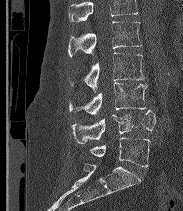

CT spine; sagittal view

Boxes: x1 y1 x2 y2 (pixel coords, space-separated). A vertebra cut off by the top edge of the scan is not labeled and has no box. In these labels the spine has an L6, a sixth lumbar vertebra below L5. Vertebrae labeled: L2 at 68 21 142 56, L3 at 71 53 144 91, L4 at 69 82 147 115, L5 at 72 110 156 143, L6 at 89 137 150 166.